CT. 369 mm image width. Sagittal slice 182/369. bone-window reconstruction
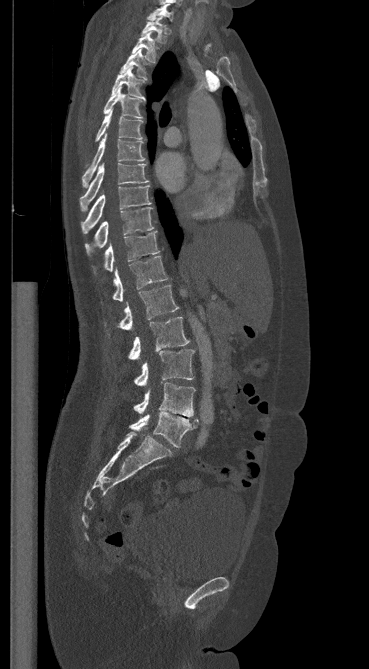
Each row gives a vertebra's box as x1, y1, x2, y2 in pixels: top-left corner, then bottom-right corner.
| vertebra | x1 | y1 | x2 | y2 |
|---|---|---|---|---|
| L5 | 129 | 411 | 198 | 447 |
| L4 | 134 | 382 | 195 | 417 |
| L3 | 134 | 349 | 194 | 385 |
| L2 | 128 | 317 | 189 | 359 |
| L1 | 118 | 285 | 178 | 329 |
| T12 | 112 | 256 | 167 | 301 |
| T11 | 93 | 231 | 159 | 273 |
| T10 | 85 | 207 | 153 | 255 |
| T9 | 81 | 185 | 151 | 233 |
| T8 | 79 | 163 | 147 | 211 |
| T7 | 82 | 135 | 145 | 186 |
| T6 | 95 | 109 | 142 | 141 |
| T5 | 103 | 87 | 142 | 118 |
| T4 | 112 | 67 | 146 | 100 |
| T3 | 120 | 49 | 146 | 78 |
| T2 | 132 | 32 | 156 | 61 |
| T1 | 141 | 17 | 166 | 43 |
| C7 | 148 | 3 | 173 | 21 |